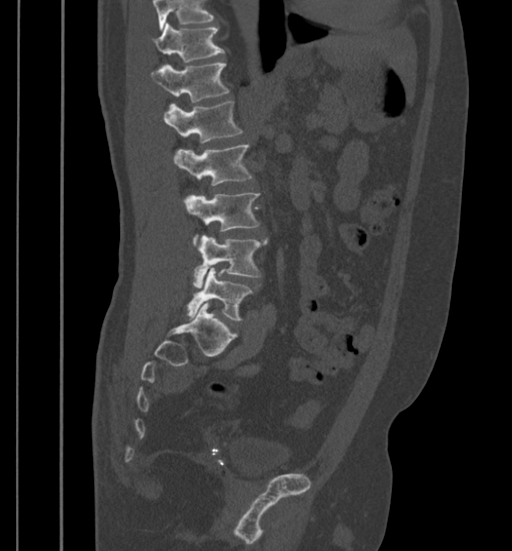
CT, spine · sagittal view · 399 mm image width · bone window
Boxes: x1:y1:x2:y2 in pixels.
A vertebra cut off by the top edge of the scan is not labeled and has no box.
Vertebra bounding boxes:
- T11: 154:23:223:62
- T12: 151:63:230:103
- L1: 163:101:243:143
- L2: 174:145:253:185
- L3: 185:192:259:245
- L4: 194:236:267:288
- L5: 187:267:253:320